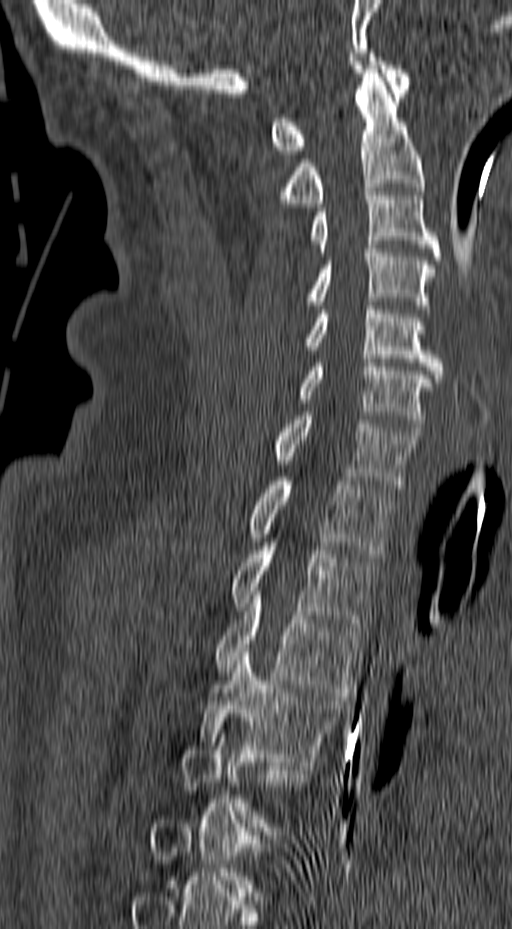

Computed tomography of the spine · sagittal view · Bone window (WL 400, WW 1800) · the image spans 157 mm across

Boxes below are [x1, y1, x2, y2] in pixels.
A vertebra is boxed only from the first to the last slice where its cross-section is at least a third of its largest; slices outside that range leave it without a box.
{"vertebrae":{"T4":[198,652,346,769],"T3":[213,591,362,696],"T2":[229,534,375,627],"T1":[249,477,395,557],"C7":[272,412,421,488],"C6":[298,359,433,431],"C5":[304,306,444,378],"C4":[287,245,435,309],"C3":[311,188,441,260],"C2":[278,65,424,207],"C1":[271,53,411,154]}}